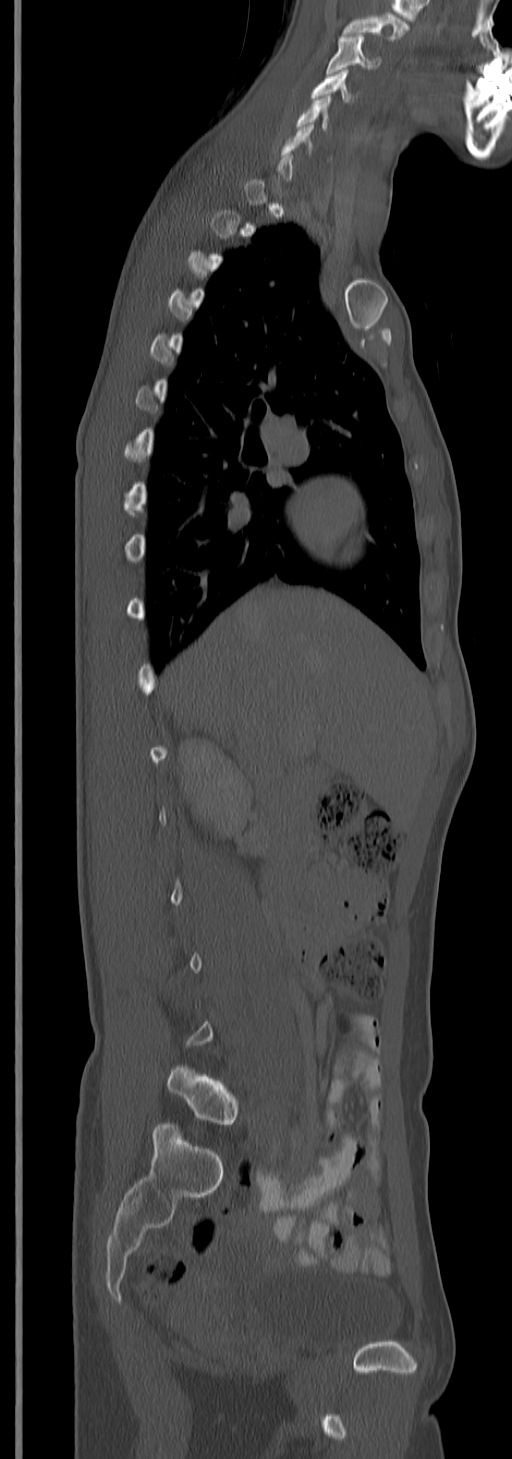
Computed tomography of the spine · sagittal view · 245 mm wide
Box edges are left/top/right/bottom in pixels.
Not every vertebra on this slice has a box: a vertebra is boxed only from the first to the last slice where its cross-section is at least a third of its largest, and this slice is outside that range for at least one of them.
In this scan, the topmost labeled vertebra is C3 and the lowest is L5.
Vertebra bounding boxes:
- C3: left=327, top=34, right=380, bottom=71
- C4: left=312, top=70, right=355, bottom=102
- C5: left=297, top=95, right=330, bottom=133
- L5: left=168, top=1064, right=238, bottom=1126